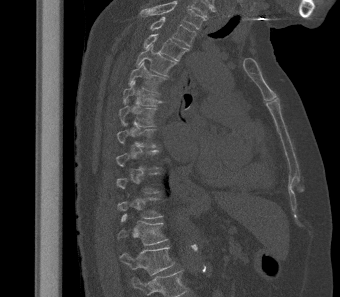
Computed tomography of the spine; sagittal view; Bone window (WL 400, WW 1800); 340x297 px

Each box is [x1, y1, x2, y2] in pixels: top-left corner, then bottom-right corner.
A vertebra is boxed only from the first to the last slice where its cross-section is at least a third of its largest; slices outside that range leave it without a box.
Labels in this scan begin with T2 at the top and end with L1 at the bottom.
{"vertebrae":{"T2":[149,17,196,46],"T3":[143,34,189,61],"T4":[136,44,177,76],"T5":[128,61,166,93],"T6":[123,80,162,106],"T7":[119,100,157,127],"T12":[118,213,168,245],"L1":[120,247,175,275]}}